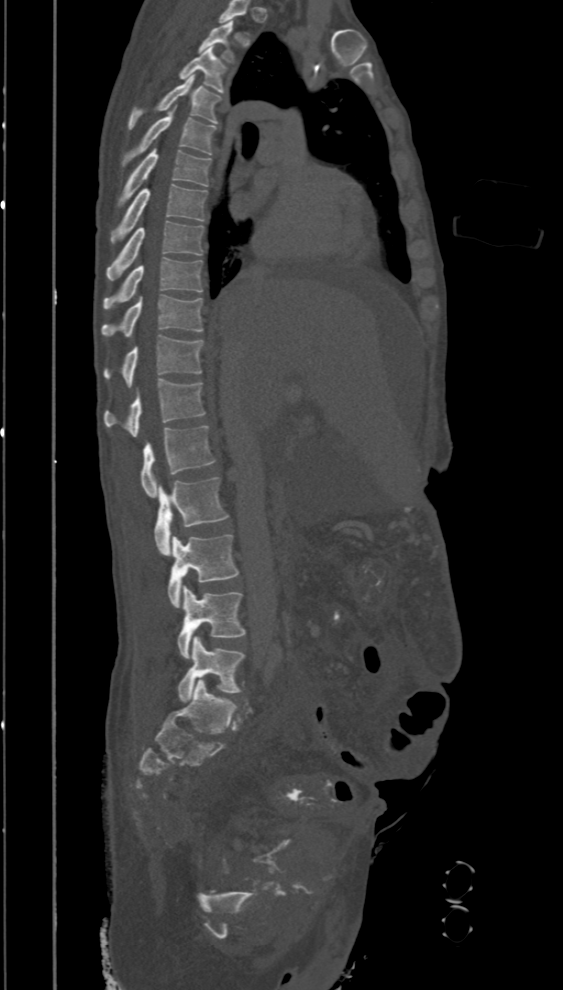

Spine computed tomography; sagittal reformat; Bone window (WL 400, WW 1800)

This scan's labels start at T2 at the top and end at L5 at the bottom.
<vertebrae><v name="T2" x1="198" y1="20" x2="236" y2="64"/><v name="T3" x1="178" y1="47" x2="228" y2="94"/><v name="T4" x1="128" y1="75" x2="222" y2="129"/><v name="T5" x1="121" y1="110" x2="216" y2="166"/><v name="T6" x1="119" y1="147" x2="210" y2="205"/><v name="T7" x1="111" y1="185" x2="208" y2="242"/><v name="T8" x1="106" y1="220" x2="203" y2="281"/><v name="T9" x1="102" y1="257" x2="203" y2="309"/><v name="T10" x1="101" y1="295" x2="203" y2="336"/><v name="T11" x1="102" y1="335" x2="203" y2="386"/><v name="T12" x1="102" y1="379" x2="205" y2="437"/><v name="L1" x1="140" y1="425" x2="216" y2="496"/><v name="L2" x1="154" y1="477" x2="229" y2="554"/><v name="L3" x1="168" y1="535" x2="239" y2="607"/><v name="L4" x1="177" y1="586" x2="246" y2="659"/><v name="L5" x1="177" y1="636" x2="244" y2="702"/></vertebrae>